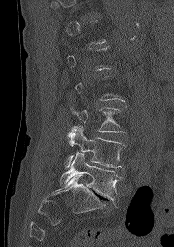

CT spine · sagittal view · bone-window reconstruction. Boxes: x1 y1 x2 y2 (pixel coords, space-separated).
A vertebra is boxed only from the first to the last slice where its cross-section is at least a third of its largest; slices outside that range leave it without a box.
Vertebra bounding boxes:
- L5: 59 152 122 202
- L4: 65 126 124 167
- L3: 71 106 125 132